Computed tomography of the spine · sagittal view · 526x1214 px · a region of this slice is masked with a uniform fill
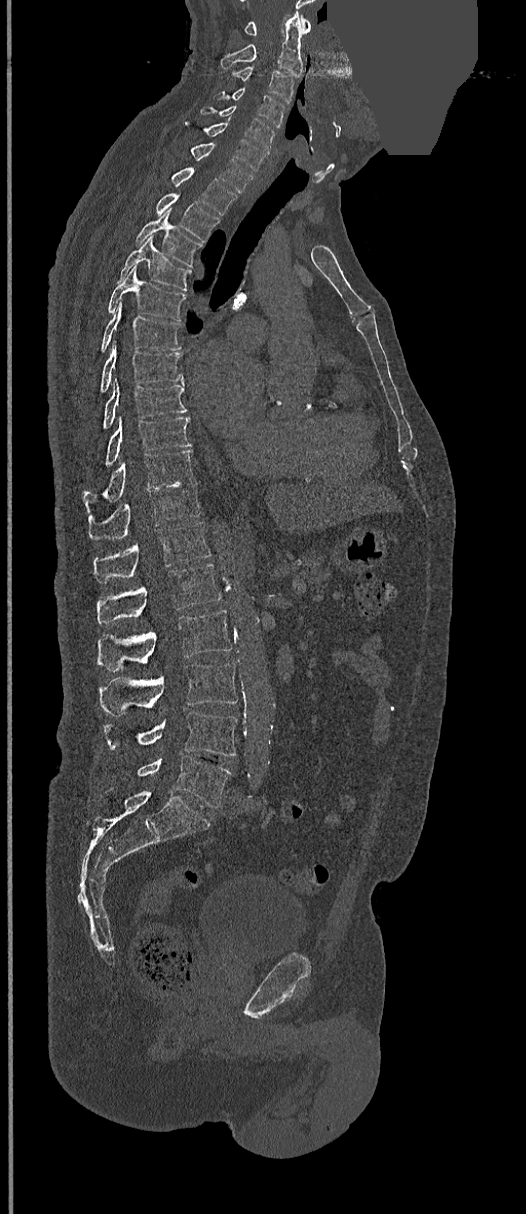
Each box given as x1,y1,x2,y2.
Vertebra bounding boxes:
- C1: x1=244, y1=16, x2=310, y2=36
- C2: x1=221, y1=13, x2=303, y2=76
- C3: x1=231, y1=66, x2=295, y2=102
- C4: x1=213, y1=87, x2=285, y2=126
- C5: x1=201, y1=106, x2=276, y2=150
- C6: x1=186, y1=121, x2=267, y2=170
- C7: x1=190, y1=141, x2=253, y2=192
- T1: x1=171, y1=167, x2=236, y2=215
- T2: x1=155, y1=193, x2=220, y2=242
- T3: x1=136, y1=209, x2=203, y2=266
- T4: x1=119, y1=236, x2=192, y2=290
- T5: x1=107, y1=266, x2=186, y2=322
- T6: x1=100, y1=303, x2=180, y2=352
- T7: x1=100, y1=341, x2=183, y2=393
- T8: x1=103, y1=379, x2=187, y2=429
- T9: x1=104, y1=417, x2=192, y2=466
- T10: x1=82, y1=450, x2=194, y2=513
- T11: x1=88, y1=480, x2=200, y2=540
- T12: x1=94, y1=521, x2=211, y2=583
- L1: x1=97, y1=564, x2=220, y2=623
- L2: x1=97, y1=610, x2=232, y2=670
- L3: x1=100, y1=663, x2=237, y2=716
- L4: x1=104, y1=711, x2=237, y2=756
- L5: x1=137, y1=756, x2=232, y2=808